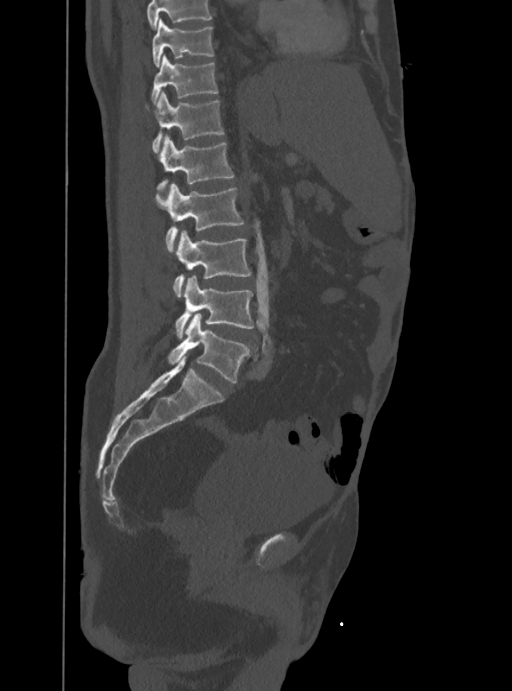
CT — sagittal view
Columns x1, y1, x2, y2 give each box's top-left and bottom-right pixels.
Where the top of the scan cuts through a vertebra, that vertebra gets no label or box.
| vertebra | x1 | y1 | x2 | y2 |
|---|---|---|---|---|
| T10 | 152 | 18 | 214 | 67 |
| T11 | 152 | 56 | 218 | 106 |
| T12 | 152 | 93 | 224 | 153 |
| L1 | 157 | 135 | 234 | 195 |
| L2 | 157 | 183 | 243 | 252 |
| L3 | 173 | 230 | 251 | 297 |
| L4 | 175 | 276 | 255 | 337 |
| L5 | 167 | 314 | 248 | 383 |